Spine CT; Sagittal slice 242/512; image 368 mm wide; W/L 1800/400 HU; 24 vertebrae labeled in this scan; a region is masked with a constant gray value
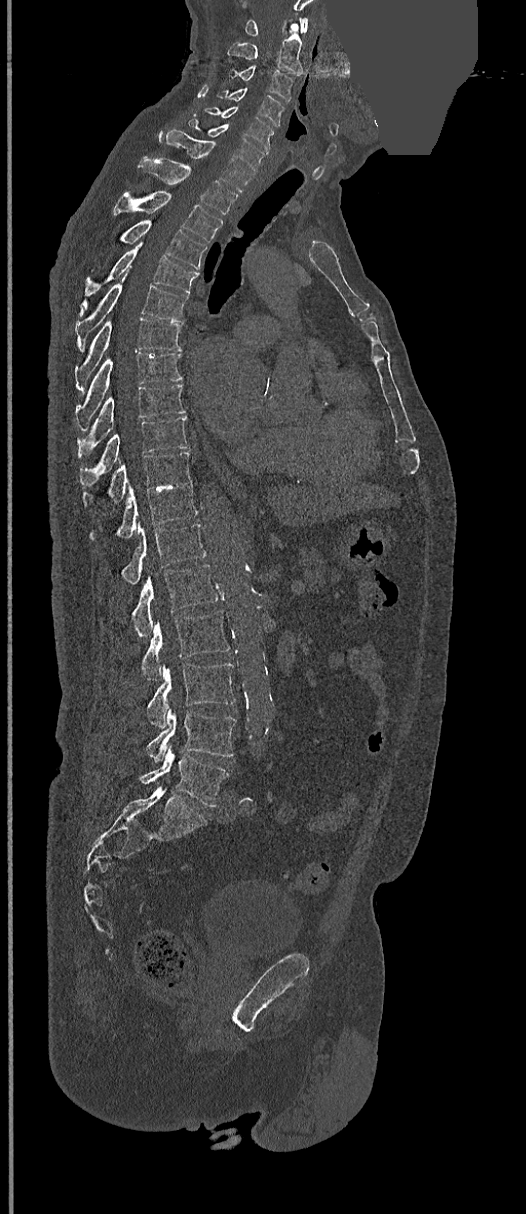

Box edges are left/top/right/bottom in pixels.
Vertebra bounding boxes:
- L5: left=140, top=747, right=232, bottom=806
- L4: left=146, top=709, right=236, bottom=763
- L3: left=147, top=663, right=236, bottom=728
- L2: left=142, top=610, right=229, bottom=680
- L1: left=131, top=564, right=219, bottom=636
- T12: left=121, top=524, right=206, bottom=585
- T11: left=89, top=481, right=197, bottom=539
- T10: left=82, top=451, right=192, bottom=506
- T9: left=80, top=416, right=189, bottom=486
- T8: left=78, top=384, right=186, bottom=453
- T7: left=76, top=353, right=182, bottom=425
- T6: left=74, top=317, right=182, bottom=390
- T5: left=76, top=273, right=189, bottom=349
- T4: left=81, top=241, right=199, bottom=313
- T3: left=121, top=220, right=207, bottom=269
- T2: left=113, top=191, right=223, bottom=242
- T1: left=139, top=157, right=237, bottom=215
- C7: left=158, top=129, right=255, bottom=192
- C6: left=188, top=116, right=266, bottom=172
- C5: left=203, top=107, right=273, bottom=149
- C4: left=216, top=87, right=284, bottom=126
- C3: left=229, top=66, right=293, bottom=102
- C2: left=227, top=23, right=302, bottom=76
- C1: left=245, top=18, right=307, bottom=36